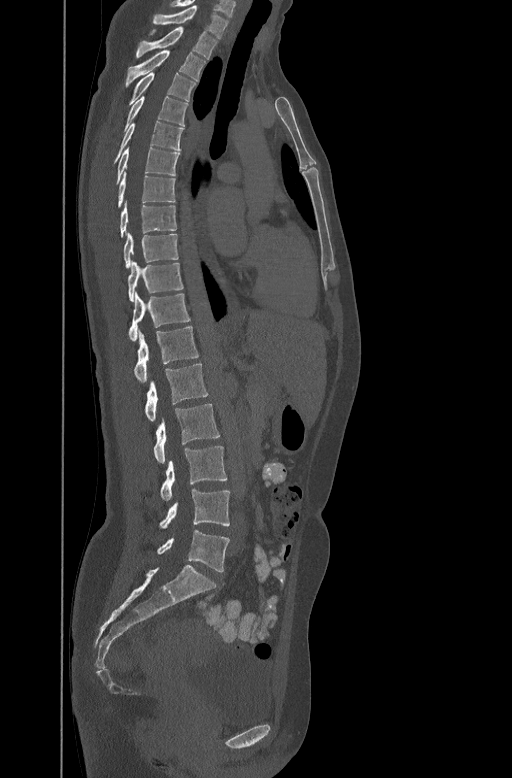 CT spine · sagittal reformat · bone-window reconstruction. In the table, x1 and y1 are a box's top-left corner and x2 and y2 its bottom-right corner, in pixels.
| vertebra | x1 | y1 | x2 | y2 |
|---|---|---|---|---|
| L5 | 157 | 530 | 229 | 571 |
| L4 | 159 | 489 | 230 | 528 |
| L3 | 160 | 446 | 227 | 500 |
| L2 | 153 | 404 | 220 | 462 |
| L1 | 144 | 363 | 209 | 421 |
| T12 | 134 | 325 | 198 | 381 |
| T11 | 128 | 292 | 190 | 339 |
| T10 | 127 | 260 | 183 | 300 |
| T9 | 124 | 231 | 178 | 267 |
| T8 | 119 | 201 | 176 | 236 |
| T7 | 117 | 172 | 175 | 207 |
| T6 | 116 | 146 | 180 | 182 |
| T5 | 113 | 120 | 183 | 161 |
| T4 | 125 | 95 | 188 | 128 |
| T3 | 128 | 72 | 196 | 103 |
| T2 | 126 | 48 | 205 | 86 |
| T1 | 136 | 27 | 218 | 58 |
| C7 | 153 | 4 | 228 | 37 |